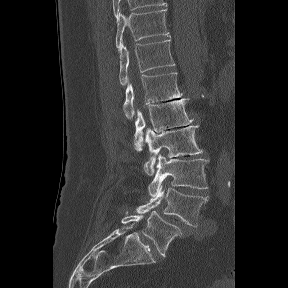

Spine computed tomography; sagittal view; W/L 1800/400 HU

Each box given as x1,y1,x2,y2. In these labels the spine has an L6, a sixth lumbar vertebra below L5. 8 vertebrae labeled — T11 at x1=116, y1=6, x2=170, y2=49; T12 at x1=119, y1=39, x2=175, y2=85; L1 at x1=123, y1=72, x2=182, y2=118; L2 at x1=134, y1=98, x2=193, y2=151; L3 at x1=144, y1=125, x2=203, y2=175; L4 at x1=148, y1=154, x2=209, y2=197; L5 at x1=136, y1=185, x2=208, y2=226; L6 at x1=121, y1=210, x2=185, y2=257.